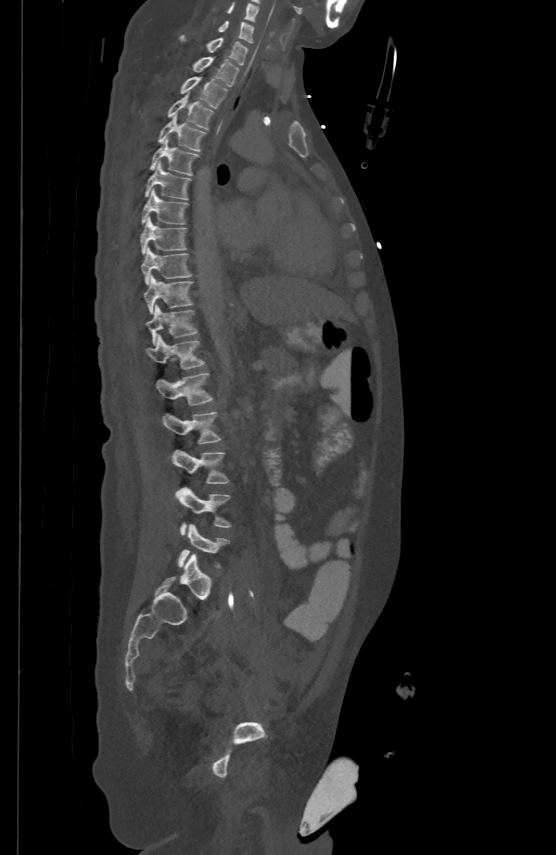

Computed tomography of the spine · sagittal reformat · 556x855 px
Boxes: x1:y1:x2:y2 in pixels. The labeled vertebrae in this slice are: L5 at 178:524:229:567, L4 at 176:487:230:535, L3 at 173:450:228:483, L2 at 162:411:220:444, L1 at 155:372:213:404, T12 at 146:336:204:368, T11 at 145:304:196:343, T10 at 143:274:192:312, T9 at 141:246:191:283, T8 at 140:216:186:253, T7 at 141:187:188:223, T6 at 144:161:190:199, T5 at 150:137:198:174, T4 at 157:114:205:150, T3 at 168:93:214:129, T2 at 180:76:227:106, T1 at 192:56:239:85, C7 at 180:34:247:64, C6 at 218:20:253:42, C5 at 227:1:258:21.